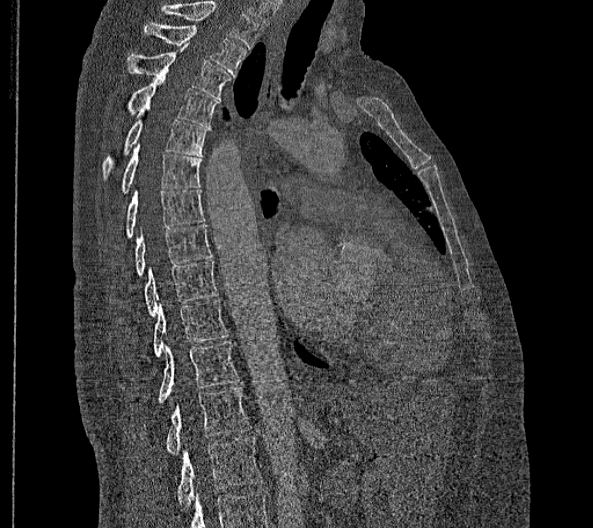
Computed tomography of the spine; sagittal view; image width 356 mm
Boxes: x1 y1 x2 y2 (pixel coords, space-separated). Labels in this scan begin with T2 at the top and end with L2 at the bottom. In these labels the spine has no T12: the thoracic vertebrae end at T11, and L1 comes next. Vertebrae labeled: T2 at 144 23 247 76, T3 at 126 43 230 99, T4 at 125 74 218 126, T5 at 102 105 211 179, T6 at 119 143 201 194, T7 at 125 188 205 239, T8 at 134 223 212 276, T9 at 143 260 217 316, T10 at 153 300 228 357, T11 at 158 342 239 402, L1 at 167 387 250 454, L2 at 176 435 262 510.